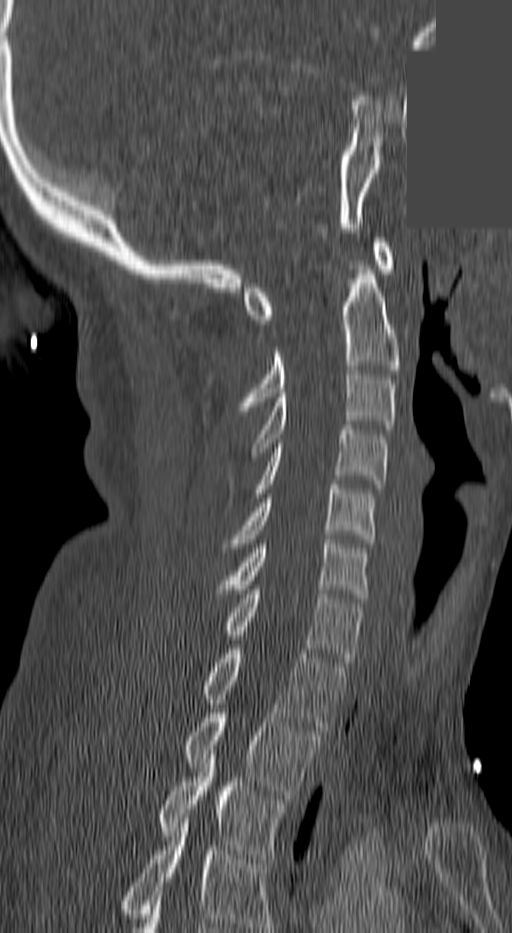

Computed tomography of the spine — sagittal view — W/L 1800/400 HU — 512x933 px — part of the image is a flat gray fill, not anatomy. Boxes are (x1, y1, x2, y2) in pixels.
This scan's labels start at C1 at the top and end at T3 at the bottom.
Vertebra bounding boxes:
- T3: (159, 750, 286, 858)
- T2: (184, 713, 319, 794)
- T1: (202, 649, 344, 730)
- C7: (224, 590, 362, 662)
- C6: (221, 539, 366, 598)
- C5: (232, 485, 373, 548)
- C4: (252, 425, 388, 497)
- C3: (250, 370, 395, 456)
- C2: (241, 265, 399, 406)
- C1: (243, 238, 392, 324)